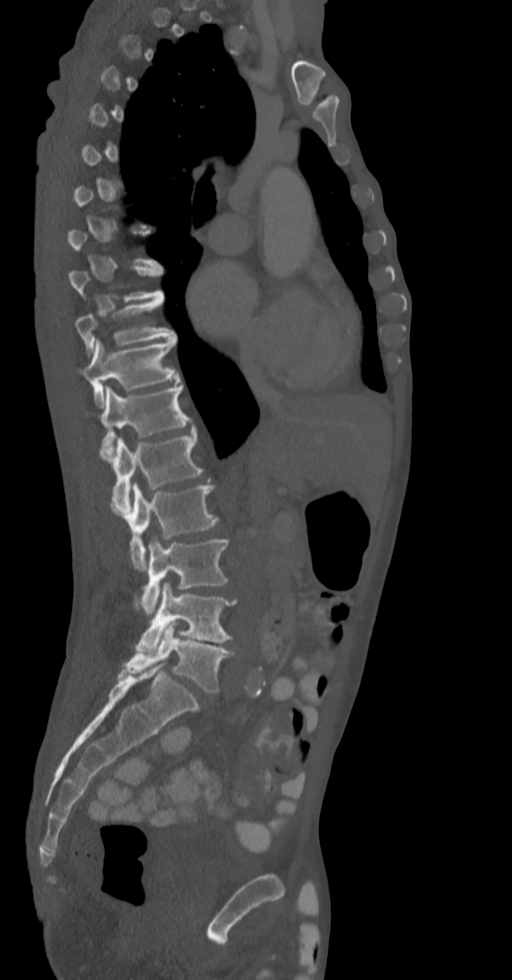

CT — sagittal view — W/L 1800/400 HU
Each row gives a vertebra's box as x1, y1, x2, y2 in pixels: top-left corner, then bottom-right corner.
A vertebra gets a box only on the slices from the first to the last where its cross-section is at least a third of its largest; on a slice outside that range it gets none.
| vertebra | x1 | y1 | x2 | y2 |
|---|---|---|---|---|
| T9 | 70 | 265 | 163 | 301 |
| T10 | 76 | 296 | 175 | 354 |
| T11 | 84 | 338 | 179 | 407 |
| T12 | 100 | 384 | 192 | 458 |
| L1 | 101 | 430 | 203 | 511 |
| L2 | 128 | 483 | 218 | 569 |
| L3 | 139 | 539 | 229 | 616 |
| L4 | 137 | 582 | 236 | 654 |
| L5 | 119 | 622 | 233 | 692 |